CT; 140 mm across the image; Sagittal slice 160/512
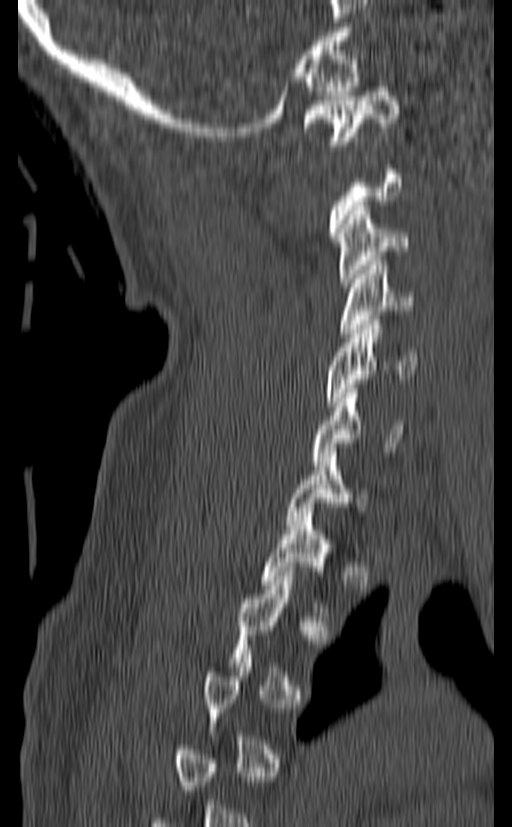

A vertebra is boxed only from the first to the last slice where its cross-section is at least a third of its largest; slices outside that range leave it without a box.
<vertebrae><v name="C1" x1="303" y1="87" x2="399" y2="145"/><v name="C3" x1="336" y1="206" x2="409" y2="287"/><v name="C4" x1="338" y1="261" x2="414" y2="337"/><v name="C5" x1="323" y1="320" x2="417" y2="406"/><v name="C6" x1="312" y1="384" x2="406" y2="465"/><v name="C7" x1="287" y1="453" x2="368" y2="529"/><v name="T1" x1="261" y1="512" x2="336" y2="612"/></vertebrae>